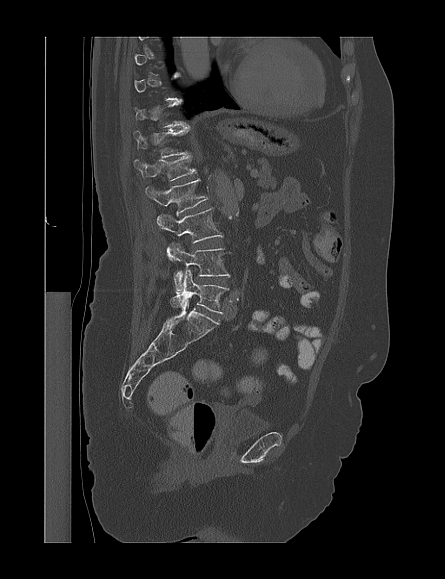 CT spine. sagittal view
Coordinates as <box>x1,y1,x2,y2</box>.
Each vertebra is boxed only on the slices from the first to the last where its cross-section reaches a third of its largest, so a slice outside that range leaves it unboxed.
Vertebra bounding boxes:
- L5: <box>170,269,226,313</box>
- L4: <box>170,243,229,293</box>
- L3: <box>157,208,222,259</box>
- L2: <box>145,179,208,213</box>
- L1: <box>135,155,196,181</box>
- T12: <box>134,128,189,157</box>